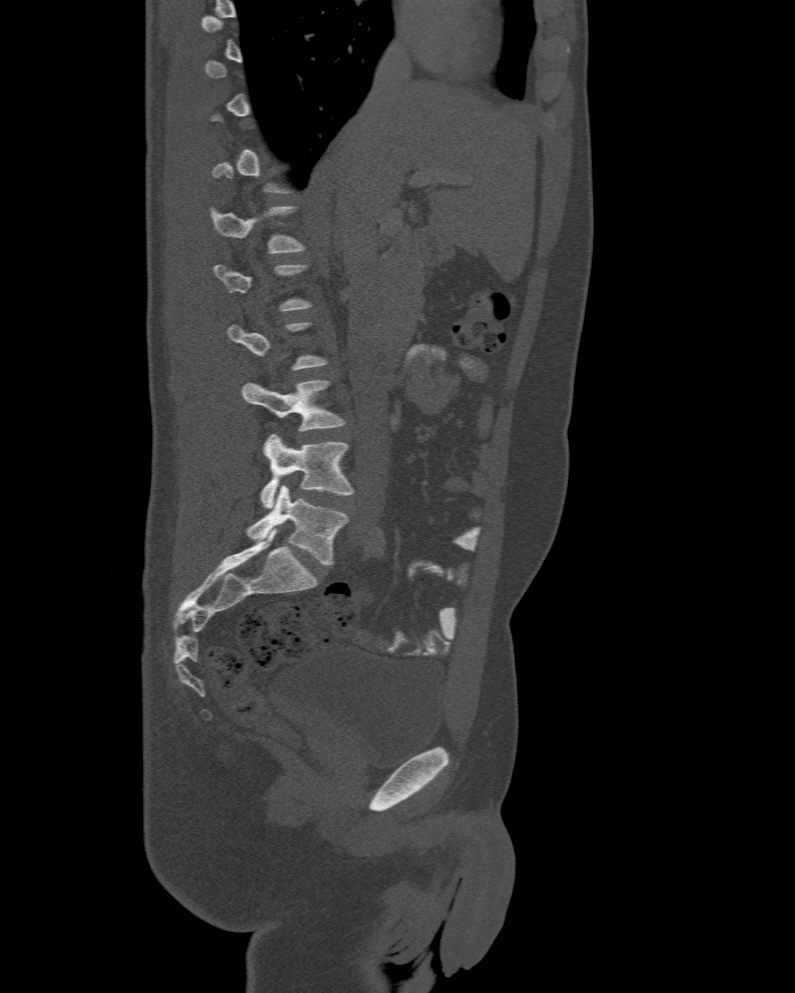

Spine computed tomography. sagittal view. image 477 mm wide. bone window. 795x993 px

A vertebra is boxed only from the first to the last slice where its cross-section is at least a third of its largest; slices outside that range leave it without a box.
The labels name a sixth lumbar vertebra for this spine: L6, after L5.
<vertebrae><v name="L1" x1="211" y1="206" x2="303" y2="252"/><v name="L4" x1="242" y1="380" x2="344" y2="431"/><v name="L5" x1="259" y1="433" x2="353" y2="508"/><v name="L6" x1="247" y1="485" x2="348" y2="564"/></vertebrae>